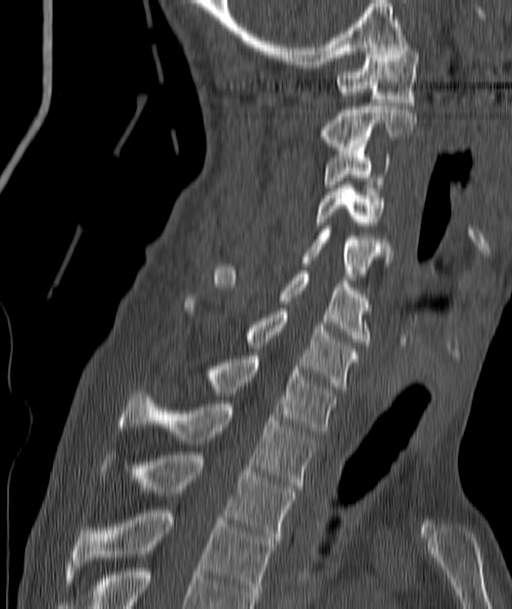 Computed tomography of the spine; 187 mm wide; sagittal view
Each box given as x1,y1,x2,y2. Vertebrae labeled: C1 at x1=338, y1=44, x2=419, y2=105, C2 at x1=321, y1=106, x2=416, y2=150, C3 at x1=324, y1=147, x2=389, y2=187, C4 at x1=316, y1=185, x2=383, y2=228, C5 at x1=302, y1=229, x2=389, y2=276, C6 at x1=214, y1=267, x2=369, y2=345, C7 at x1=184, y1=298, x2=359, y2=389, T1 at x1=206, y1=356, x2=337, y2=434, T2 at x1=119, y1=390, x2=315, y2=488, T3 at x1=99, y1=452, x2=296, y2=543, T4 at x1=72, y1=510, x2=274, y2=601.